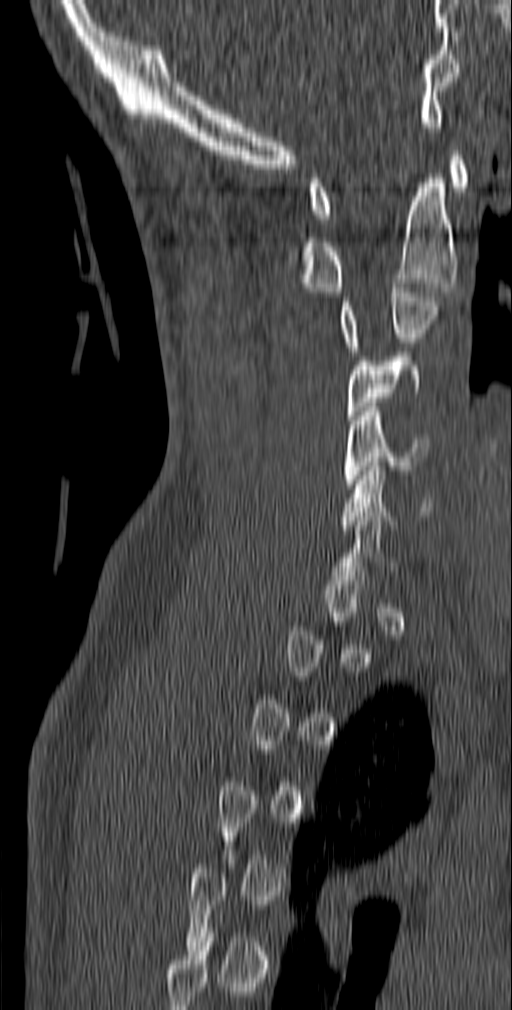 CT, spine · sagittal view · 512x1010 px
Boxes: x1 y1 x2 y2 (pixel coords, space-separated).
A vertebra is boxed only from the first to the last slice where its cross-section is at least a third of its largest; slices outside that range leave it without a box.
C1: 309 151 468 218
C2: 301 174 458 292
C3: 341 283 439 351
C4: 347 357 420 420
C5: 344 407 430 488
C6: 341 462 433 529